Computed tomography of the spine; sagittal view; bone-window reconstruction; image 205 mm wide; a region of this slice is masked with a uniform fill
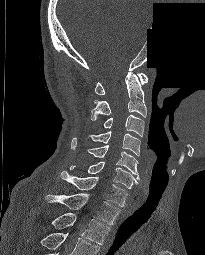
Bounding boxes as [x1, y1, x2, y2] in pixel coordinates. Labels in this scan begin with C1 at the top and end with T2 at the bottom. Vertebrae labeled: C1 at [95, 73, 148, 94], C2 at [91, 72, 146, 120], C3 at [103, 114, 144, 136], C4 at [88, 130, 140, 155], C5 at [87, 145, 139, 179], C6 at [70, 161, 138, 188], C7 at [60, 171, 127, 206], T1 at [45, 193, 120, 224], T2 at [52, 213, 109, 244].